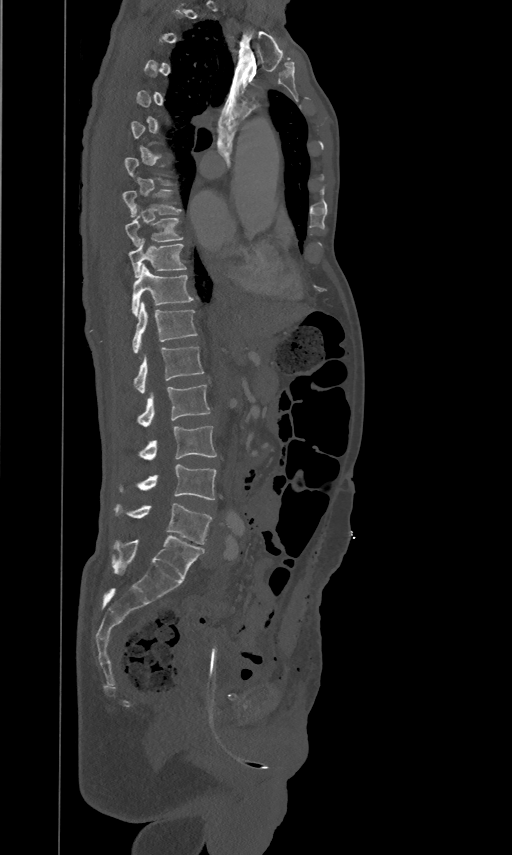
CT spine — sagittal view. Bounding boxes as [x1, y1, x2, y2] in pixel coordinates. Each vertebra is boxed only on the slices from the first to the last where its cross-section reaches a third of its largest, so a slice outside that range leaves it unboxed. 10 vertebrae labeled — L5 at [116, 503, 211, 544]; L4 at [138, 464, 215, 500]; L3 at [140, 425, 216, 460]; L2 at [137, 384, 210, 426]; L1 at [134, 345, 203, 392]; T12 at [132, 301, 197, 352]; T11 at [132, 263, 192, 316]; T10 at [128, 237, 186, 276]; T9 at [124, 207, 182, 245]; T8 at [122, 189, 180, 215].